CT, spine; sagittal reformat; scan covers 9 annotated vertebrae
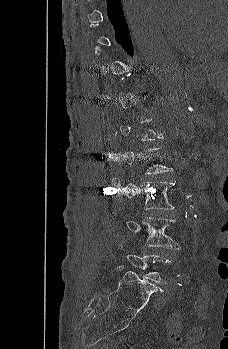
Box edges are left/top/right/bottom in pixels.
A vertebra is boxed only from the first to the last slice where its cross-section is at least a third of its largest; slices outside that range leave it without a box.
Vertebra bounding boxes:
- L3: left=108, top=179, right=176, bottom=209
- L4: left=125, top=217, right=181, bottom=248
- L5: left=120, top=241, right=171, bottom=283